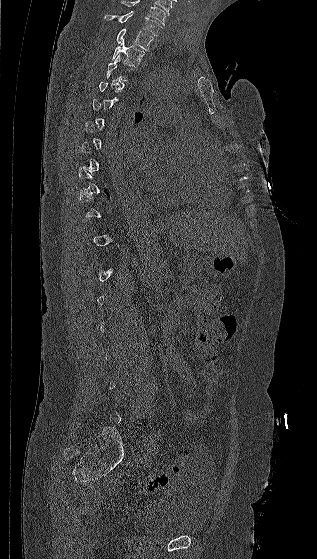
CT, spine · 317 mm across the image · sagittal view
Boxes below are [x1, y1, x2, y2] in pixels.
Each vertebra is boxed only on the slices from the first to the last where its cross-section reaches a third of its largest, so a slice outside that range leaves it unboxed.
In this scan, the topmost labeled vertebra is C7 and the lowest is L5.
{"vertebrae":{"T2":[111,41,145,66],"T1":[116,28,153,50],"C7":[104,11,162,35]}}